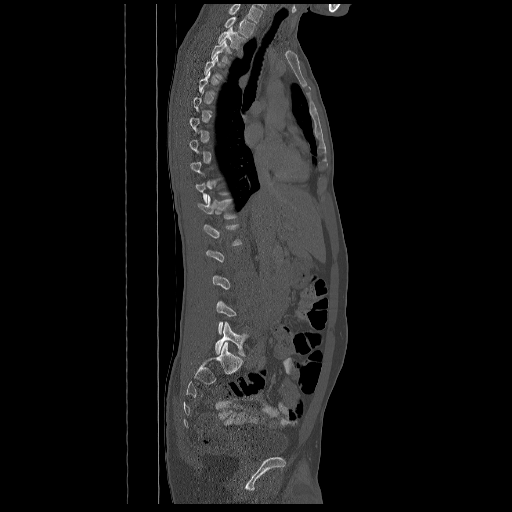
CT, spine; sagittal view; the image is 672 mm wide
Boxes below are [x1, y1, x2, y2] in pixels.
A vertebra is boxed only from the first to the last slice where its cross-section is at least a third of its largest; slices outside that range leave it without a box.
This scan's labels start at T2 at the top and end at L5 at the bottom.
{"vertebrae":{"T2":[224,17,256,37],"T3":[218,27,246,50],"T4":[211,40,229,63],"T12":[197,196,237,219],"L5":[215,321,248,355]}}